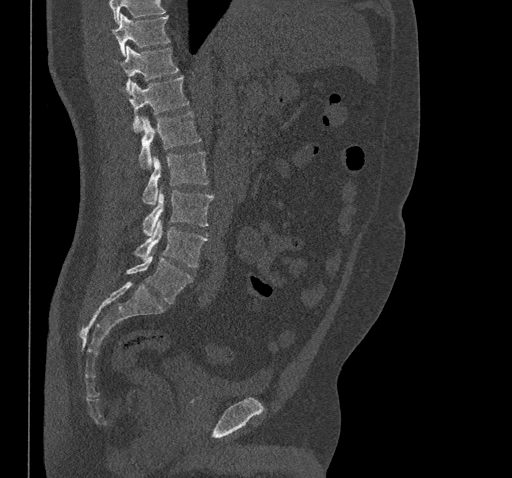

Spine CT; sagittal view; bone window
Bounding boxes as [x1, y1, x2, y2] in pixel coordinates. No box is given to a vertebra that the top edge of the scan cuts off. Vertebrae labeled: L5 at [127, 256, 193, 304], L4 at [134, 220, 207, 267], L3 at [142, 190, 214, 235], L2 at [143, 151, 208, 204], L1 at [139, 111, 200, 168], T12 at [130, 76, 188, 131], T11 at [116, 46, 178, 91], T10 at [113, 16, 170, 56].